CT spine. sagittal view. 250x671 px. the image spans 250 mm across. 19 vertebrae labeled in this scan
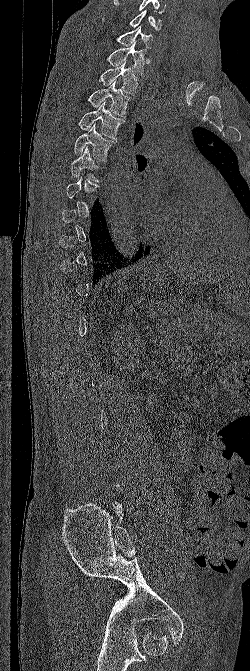
Each box given as x1,y1,x2,y2.
A vertebra gets a box only on the slices from the first to the last where its cross-section is at least a third of its largest; on a slice outside that range it gets none.
This scan's labels start at C6 at the top and end at L5 at the bottom.
| vertebra | x1 | y1 | x2 | y2 |
|---|---|---|---|---|
| T6 | 71 | 146 | 101 | 182 |
| T5 | 74 | 124 | 116 | 160 |
| T4 | 78 | 102 | 125 | 139 |
| T3 | 87 | 81 | 132 | 117 |
| T2 | 99 | 62 | 138 | 95 |
| T1 | 106 | 42 | 147 | 74 |
| C7 | 115 | 26 | 153 | 49 |
| C6 | 102 | 10 | 161 | 30 |